CT — sagittal plane, index 192 — bone-window reconstruction
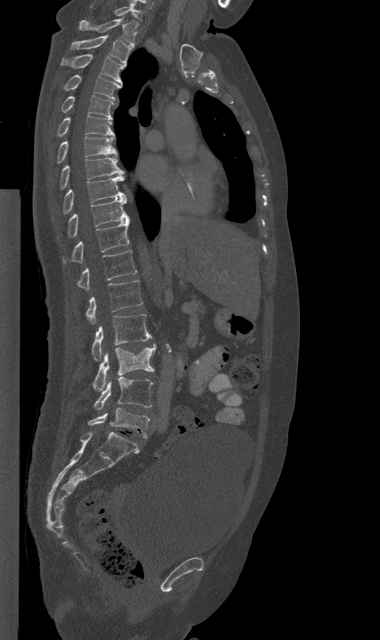

Bounding boxes as [x1, y1, x2, y2] in pixel coordinates. Vertebrae labeled: C7 at [115, 3, 141, 19], T1 at [79, 16, 138, 45], T2 at [71, 35, 131, 65], T3 at [62, 54, 125, 84], T4 at [64, 75, 122, 99], T5 at [61, 95, 113, 118], T6 at [57, 116, 114, 136], T7 at [57, 136, 117, 163], T8 at [60, 157, 124, 189], T9 at [62, 174, 126, 213], T10 at [67, 198, 128, 236], T11 at [63, 220, 129, 262], T12 at [77, 250, 136, 290], L1 at [85, 280, 142, 323], L2 at [91, 314, 152, 360], L3 at [93, 344, 155, 390], L4 at [94, 377, 152, 409], L5 at [88, 408, 149, 438].